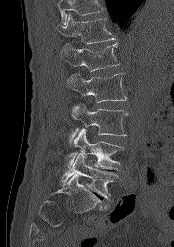 CT spine — sagittal view — the image spans 174 mm across
Bounding boxes as [x1, y1, x2, y2] in pixel coordinates. No box is given to a vertebra that the top edge of the scan cuts off. 6 vertebrae labeled — T12 at [57, 13, 116, 44]; L1 at [60, 43, 119, 71]; L2 at [67, 73, 127, 102]; L3 at [71, 104, 128, 137]; L4 at [66, 128, 123, 170]; L5 at [61, 154, 118, 200].